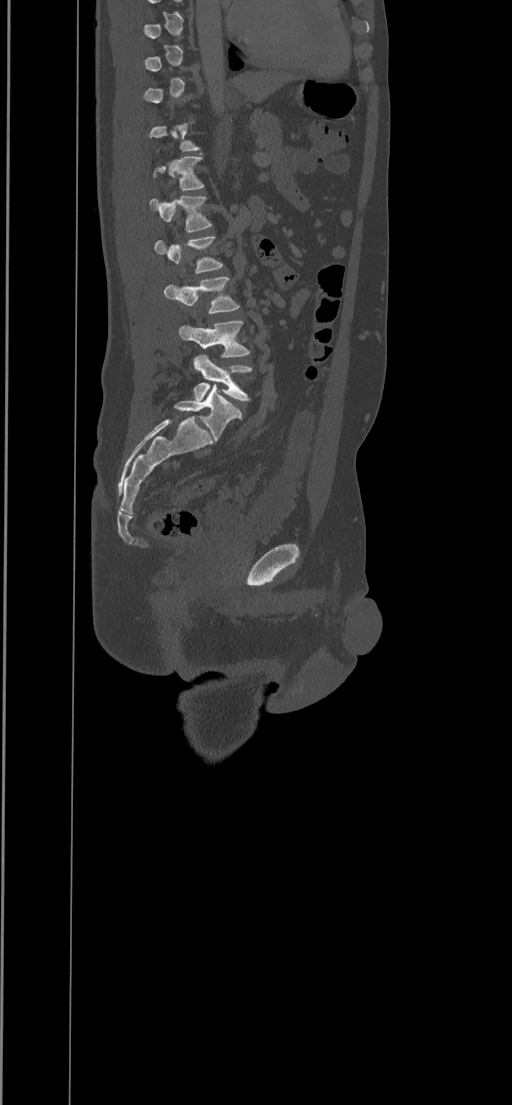

CT · image 434 mm wide · sagittal reformat
Columns x1, y1, x2, y2 give each box's top-left and bottom-right pixels.
Each vertebra is boxed only on the slices from the first to the last where its cross-section reaches a third of its largest, so a slice outside that range leaves it unboxed.
| vertebra | x1 | y1 | x2 | y2 |
|---|---|---|---|---|
| T12 | 153 | 156 | 204 | 190 |
| L1 | 150 | 195 | 212 | 232 |
| L2 | 154 | 236 | 223 | 273 |
| L3 | 164 | 276 | 240 | 314 |
| L4 | 179 | 321 | 250 | 357 |
| L5 | 193 | 354 | 253 | 401 |